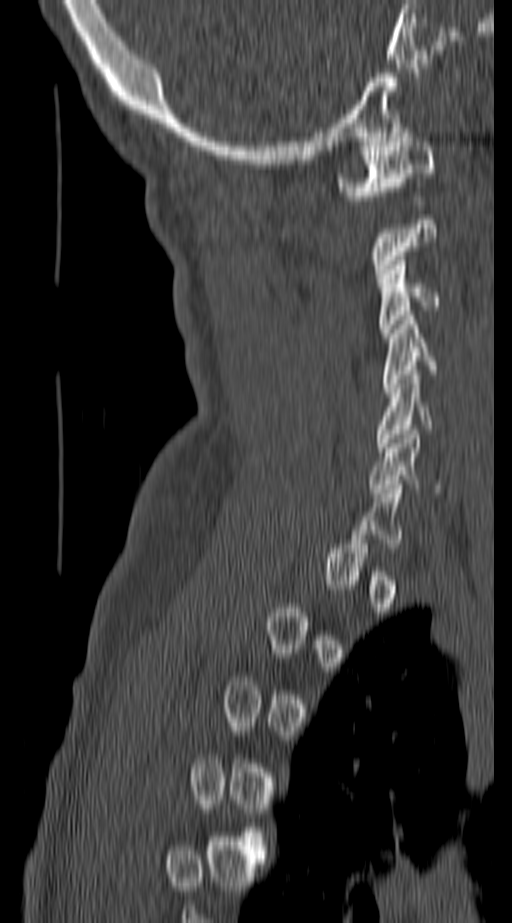

Spine computed tomography; sagittal view; 512x923 px. Bounding boxes as [x1, y1, x2, y2] in pixel coordinates. A vertebra gets a box only on the slices from the first to the last where its cross-section is at least a third of its largest; on a slice outside that range it gets none. The labeled vertebrae in this slice are: C1 at [338, 133, 436, 200], C3 at [378, 256, 442, 337], C4 at [382, 315, 439, 388], C5 at [373, 370, 432, 452], C6 at [367, 430, 444, 493].